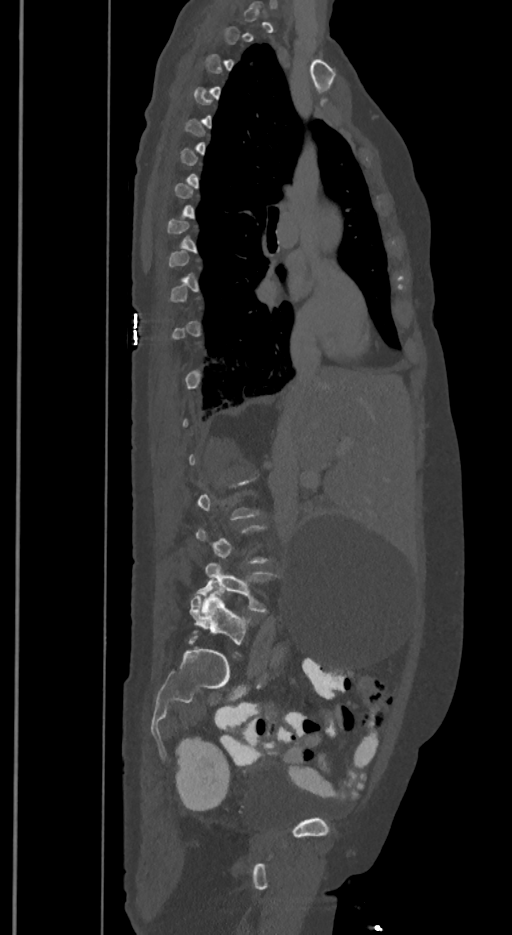 Computed tomography of the spine — sagittal view — W/L 1800/400 HU — 512x935 px. Bounding boxes as [x1, y1, x2, y2] in pixel coordinates. Each vertebra is boxed only on the slices from the first to the last where its cross-section reaches a third of its largest, so a slice outside that range leaves it unboxed. These labels give the spine a sixth lumbar vertebra, L6, below L5. 2 vertebrae labeled — L5 at [197, 563, 274, 613]; L6 at [189, 587, 246, 644].